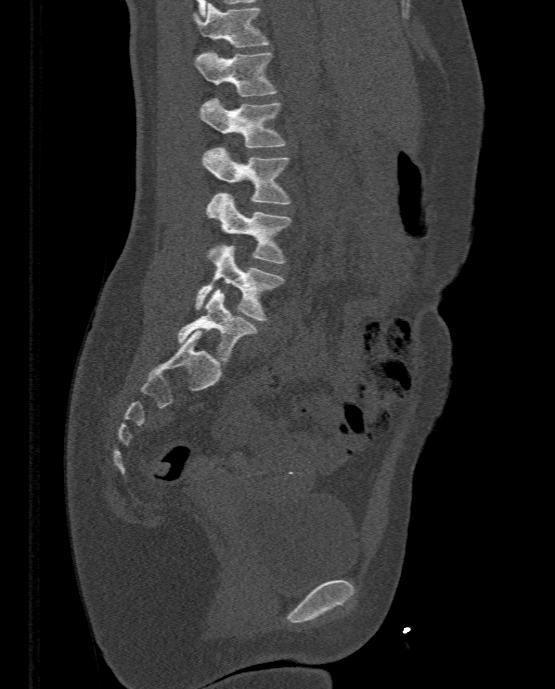

Computed tomography of the spine; sagittal view; bone-window reconstruction; 555x689 px. Columns x1, y1, x2, y2 give each box's top-left and bottom-right pixels.
| vertebra | x1 | y1 | x2 | y2 |
|---|---|---|---|---|
| T11 | 192 | 3 | 269 | 47 |
| T12 | 194 | 52 | 276 | 96 |
| L1 | 198 | 98 | 285 | 147 |
| L2 | 202 | 147 | 291 | 204 |
| L3 | 206 | 193 | 291 | 263 |
| L4 | 195 | 244 | 284 | 320 |
| L5 | 178 | 288 | 256 | 360 |